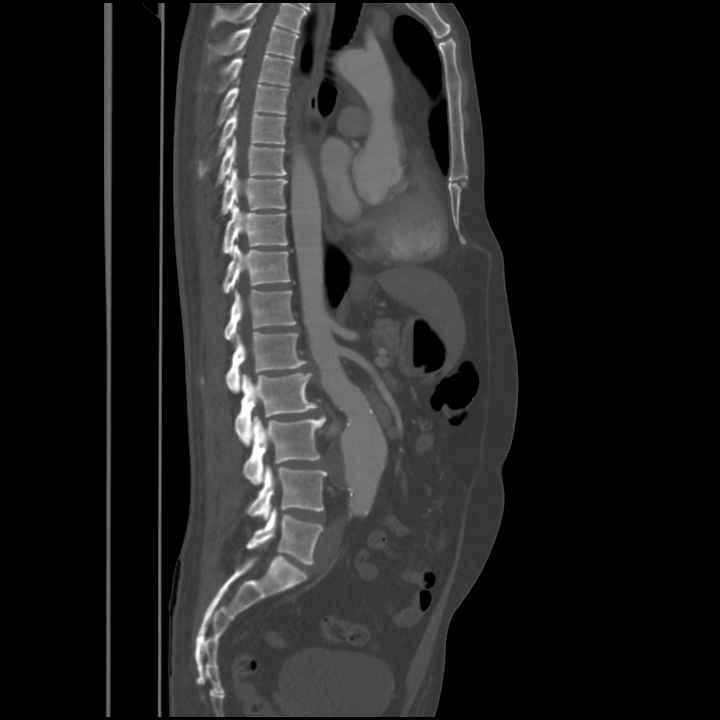 CT — sagittal view

In this scan, the topmost labeled vertebra is T4 and the lowest is L5.
<vertebrae><v name="L5" x1="246" y1="508" x2="323" y2="564"/><v name="L4" x1="247" y1="466" x2="327" y2="518"/><v name="L3" x1="243" y1="416" x2="325" y2="485"/><v name="L2" x1="234" y1="372" x2="316" y2="445"/><v name="L1" x1="225" y1="333" x2="307" y2="392"/><v name="T12" x1="224" y1="290" x2="296" y2="339"/><v name="T11" x1="223" y1="244" x2="289" y2="293"/><v name="T10" x1="223" y1="204" x2="287" y2="254"/><v name="T9" x1="221" y1="169" x2="287" y2="214"/><v name="T8" x1="216" y1="137" x2="286" y2="186"/><v name="T7" x1="198" y1="109" x2="286" y2="173"/><v name="T6" x1="217" y1="81" x2="288" y2="125"/><v name="T5" x1="216" y1="55" x2="293" y2="93"/><v name="T4" x1="207" y1="19" x2="298" y2="61"/></vertebrae>